Spine computed tomography — sagittal reformat
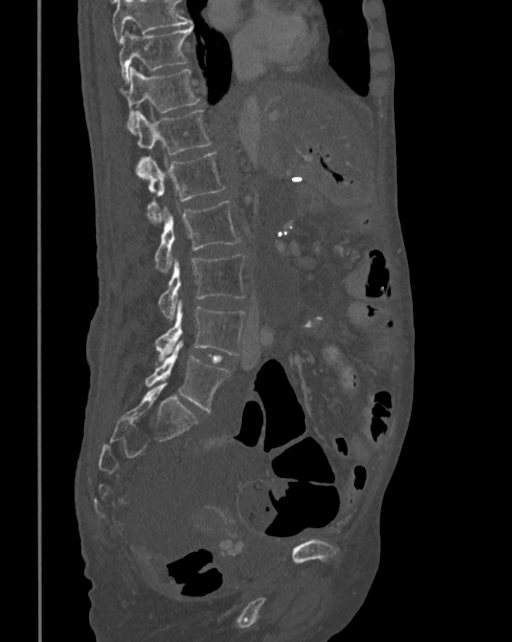

Each box given as x1,y1,x2,y2.
Where the top of the scan cuts through a vertebra, that vertebra gets no label or box.
Vertebra bounding boxes:
- T10: x1=118, y1=26, x2=193, y2=82
- T11: x1=121, y1=68, x2=200, y2=127
- T12: x1=128, y1=110, x2=211, y2=177
- L1: x1=145, y1=152, x2=225, y2=222
- L2: x1=154, y1=201, x2=241, y2=271
- L3: x1=158, y1=255, x2=246, y2=320
- L4: x1=155, y1=300, x2=246, y2=361
- L5: x1=145, y1=341, x2=229, y2=411